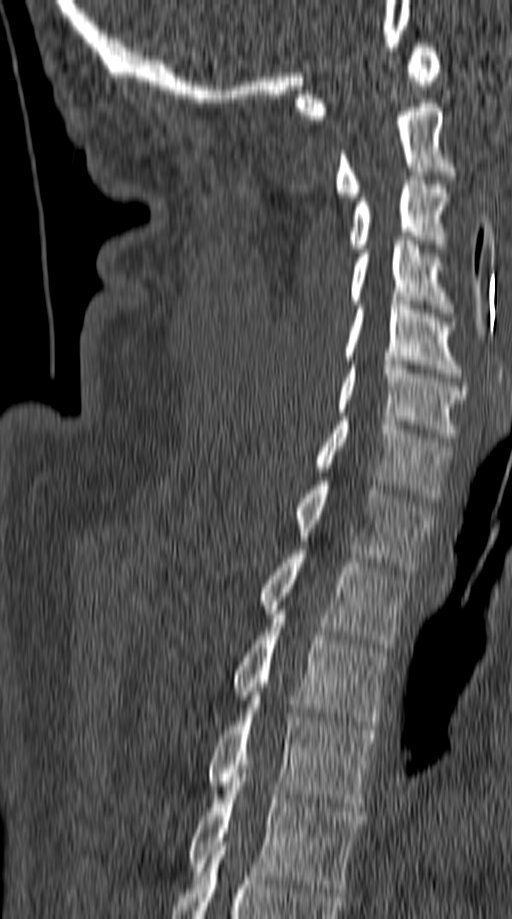

CT, spine — sagittal view
Coordinates as <box>x1,y1,x2,y2</box>.
Vertebra bounding boxes:
- C1: <box>294,43,440,119</box>
- C2: <box>335,103,454,197</box>
- C3: <box>348,172,450,252</box>
- C4: <box>350,241,450,313</box>
- C5: <box>343,301,461,377</box>
- C6: <box>335,361,467,441</box>
- C7: <box>317,417,451,502</box>
- T1: <box>297,481,433,570</box>
- T2: <box>262,550,409,648</box>
- T3: <box>234,614,389,729</box>
- T4: <box>207,700,375,807</box>
- T5: <box>187,777,363,892</box>